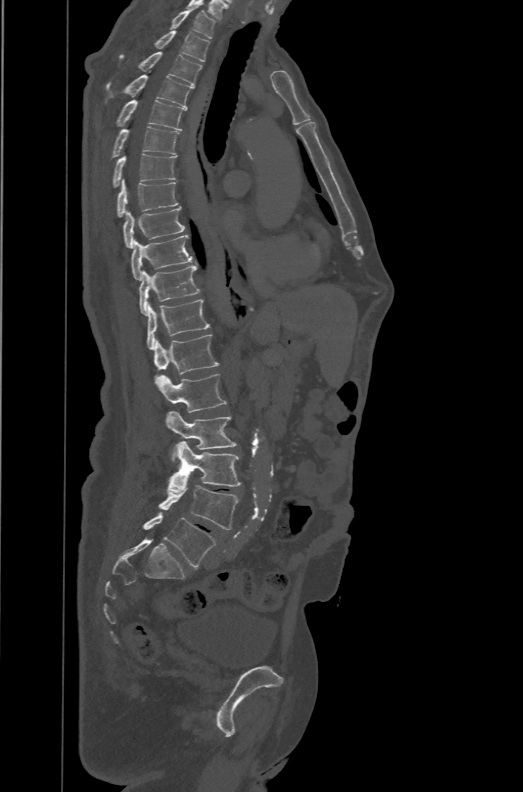
CT spine; sagittal view
Boxes: x1:y1:x2:y2 in pixels.
These labels give the spine a sixth lumbar vertebra, L6, below L5.
Vertebra bounding boxes:
- T1: 168:8:216:38
- T2: 153:30:210:61
- T3: 119:51:201:86
- T4: 104:71:193:109
- T5: 116:100:186:130
- T6: 111:126:179:159
- T7: 112:154:177:188
- T8: 117:179:179:217
- T9: 123:206:184:248
- T10: 131:234:197:280
- T11: 139:265:200:315
- T12: 146:299:210:350
- L1: 154:334:219:384
- L2: 156:373:227:412
- L3: 167:411:237:460
- L4: 167:441:241:492
- L5: 158:485:238:530
- L6: 143:512:216:568